Spine CT. Sagittal slice 148/250. bone window. scan covers 19 annotated vertebrae
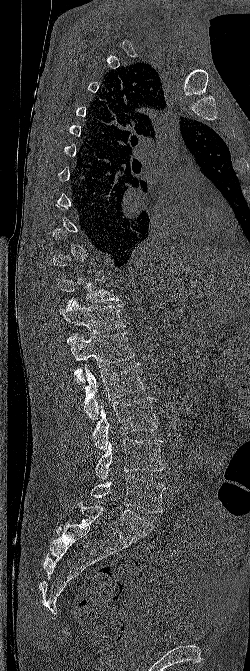
Boxes: x1 y1 x2 y2 (pixel coords, space-separated). Not every vertebra on this slice has a box: a vertebra is boxed only from the first to the last slice where its cross-section is at least a third of its largest, and this slice is outside that range for at least one of them. 7 vertebrae labeled — T11 at 58 279 118 306; T12 at 58 298 125 333; L1 at 67 332 134 383; L2 at 84 363 145 419; L3 at 92 397 157 450; L4 at 95 438 165 479; L5 at 91 475 165 513.